CT. sagittal plane, index 235. scan covers 16 annotated vertebrae. 461 mm across the image
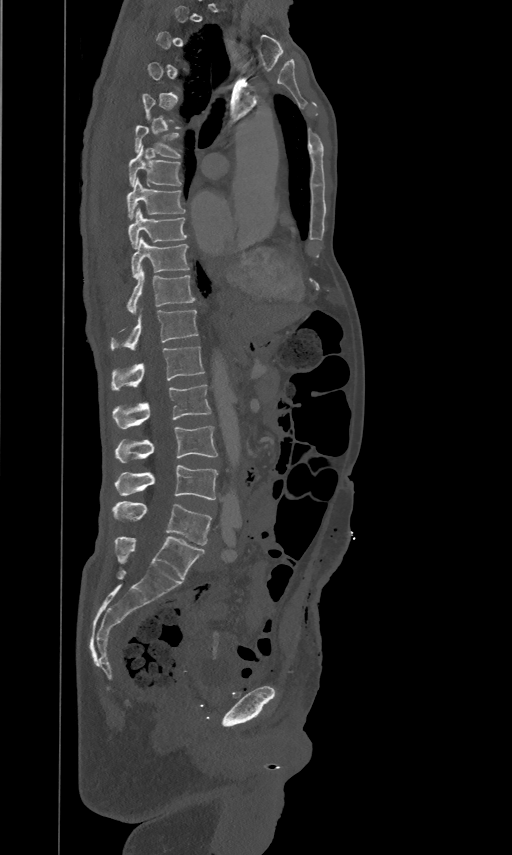 Box edges are left/top/right/bottom in pixels.
A vertebra is boxed only from the first to the last slice where its cross-section is at least a third of its largest; slices outside that range leave it without a box.
Vertebra bounding boxes:
- T6: left=135, top=124, right=180, bottom=156
- T7: left=129, top=143, right=181, bottom=185
- T8: left=127, top=177, right=185, bottom=219
- T9: left=128, top=207, right=187, bottom=248
- T10: left=131, top=236, right=189, bottom=278
- T11: left=127, top=266, right=195, bottom=312
- T12: left=110, top=309, right=198, bottom=349
- L1: left=111, top=345, right=204, bottom=389
- L2: left=112, top=384, right=211, bottom=429
- L3: left=116, top=425, right=217, bottom=462
- L4: left=115, top=465, right=217, bottom=500
- L5: left=112, top=501, right=211, bottom=545